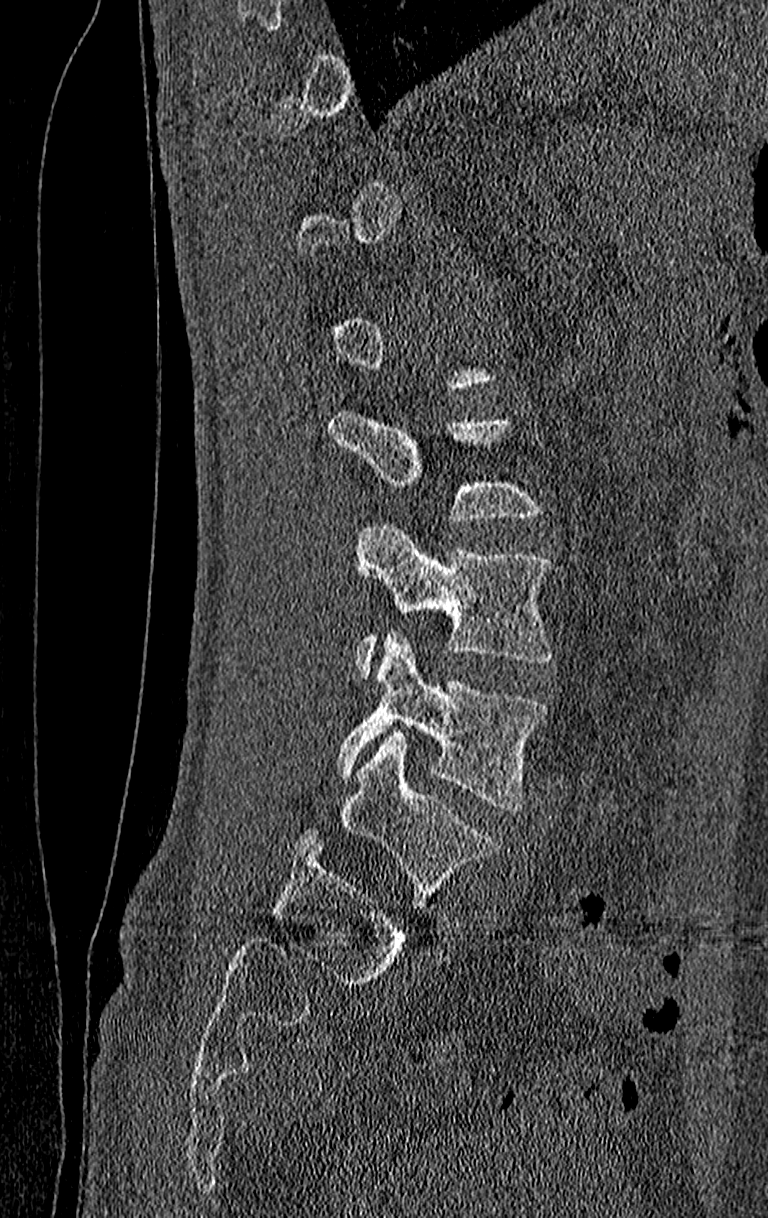

Spine computed tomography — sagittal view
Each vertebra maps to its box as [x1, y1, x2, y2], the pixel coordinates of its top-left and bottom-right corners.
A vertebra gets a box only on the slices from the first to the last where its cross-section is at least a third of its largest; on a slice outside that range it gets none.
In this scan, the topmost labeled vertebra is T11 and the lowest is L4.
{"vertebrae":{"L3":[353,523,550,677],"L4":[335,630,546,809]}}